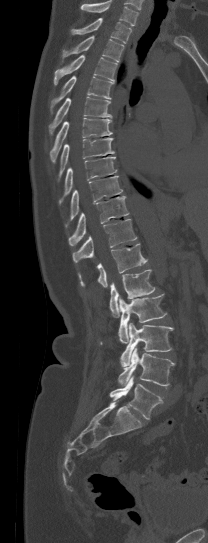 Spine CT. sagittal reformat
Coordinates as <box>x1,y1,x2,y2</box>.
No box is given to a vertebra that the top edge of the scan cuts off.
T1: <box>71,18,132,43</box>
T2: <box>62,36,123,61</box>
T3: <box>54,55,117,84</box>
T4: <box>50,76,112,113</box>
T5: <box>48,97,112,135</box>
T6: <box>50,118,112,161</box>
T7: <box>58,138,114,181</box>
T8: <box>59,157,116,203</box>
T9: <box>71,176,122,219</box>
T10: <box>68,196,128,245</box>
T11: <box>72,219,136,262</box>
T12: <box>77,243,148,287</box>
L1: <box>109,269,155,316</box>
L2: <box>118,293,166,343</box>
L3: <box>120,323,174,366</box>
L4: <box>118,347,175,386</box>
L5: <box>109,376,163,419</box>